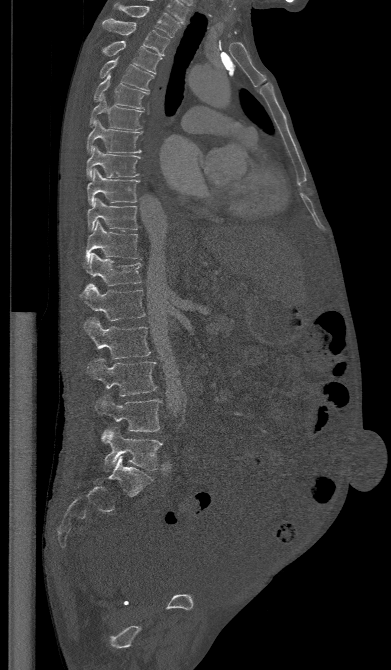

CT, spine; sagittal reformat; W/L 1800/400 HU; 391x670 px. In the table, x1 and y1 are a box's top-left corner and x2 and y2 its bottom-right corner, in pixels.
| vertebra | x1 | y1 | x2 | y2 |
|---|---|---|---|---|
| L5 | 101 | 427 | 162 | 471 |
| L4 | 94 | 394 | 162 | 431 |
| L3 | 87 | 357 | 156 | 396 |
| L2 | 84 | 317 | 150 | 358 |
| L1 | 78 | 283 | 145 | 320 |
| T12 | 84 | 253 | 141 | 285 |
| T11 | 85 | 221 | 140 | 262 |
| T10 | 87 | 198 | 137 | 231 |
| T9 | 87 | 169 | 139 | 205 |
| T8 | 86 | 146 | 139 | 178 |
| T7 | 87 | 120 | 142 | 153 |
| T6 | 89 | 95 | 142 | 130 |
| T5 | 93 | 74 | 149 | 109 |
| T4 | 99 | 55 | 153 | 90 |
| T3 | 102 | 40 | 162 | 73 |
| T2 | 102 | 18 | 169 | 55 |
| T1 | 113 | 3 | 181 | 37 |